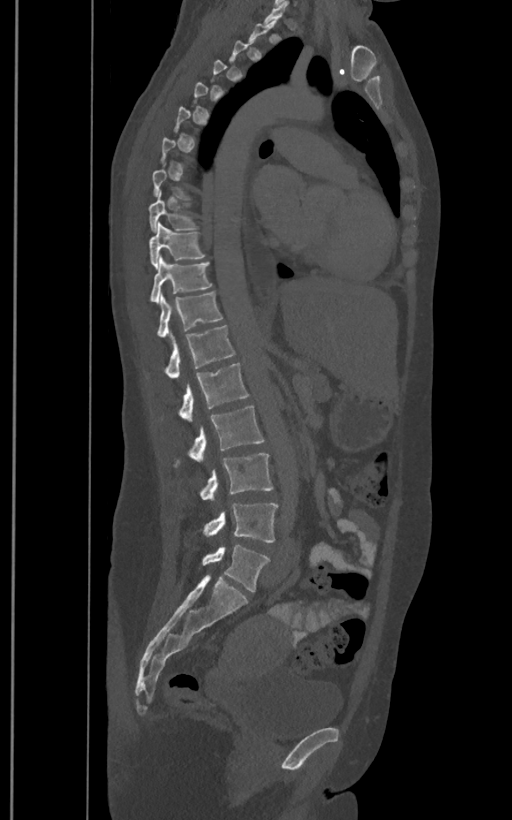

Computed tomography of the spine. sagittal view. Bone window (WL 400, WW 1800). 512x820 px. 400 mm image width
Bounding boxes as [x1, y1, x2, y2] in pixel coordinates.
Not every vertebra on this slice has a box: a vertebra is boxed only from the first to the last slice where its cross-section is at least a third of its largest, and this slice is outside that range for at least one of them.
In these labels the spine has an L6, a sixth lumbar vertebra below L5.
Vertebra bounding boxes:
- L6: [202, 545, 270, 591]
- L5: [202, 503, 278, 542]
- L4: [198, 453, 273, 499]
- L3: [173, 406, 265, 468]
- L2: [160, 363, 248, 422]
- L1: [147, 325, 236, 378]
- T12: [156, 291, 223, 337]
- T11: [150, 257, 213, 303]
- T10: [150, 222, 206, 267]
- T9: [148, 190, 199, 232]